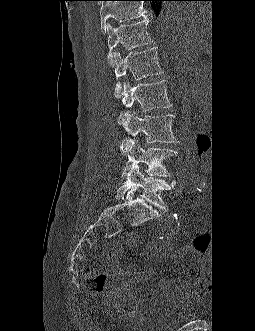
CT spine. sagittal reformat. bone-window reconstruction. image 255 mm wide. 255x331 px

Coordinates as <box>x1,y1,x2,y2</box>. No box is given to a vertebra that the top edge of the scan cuts off. The labeled vertebrae in this slice are: L5 at <box>116,164,175,210</box>, L4 at <box>120,138,177,176</box>, L3 at <box>123,111,177,142</box>, L2 at <box>118,80,172,125</box>, L1 at <box>113,47,163,97</box>, T12 at <box>107,18,153,65</box>.